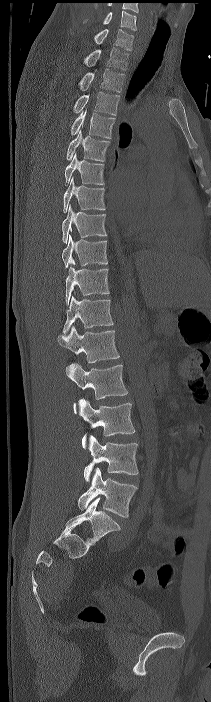
CT spine · sagittal view · Bone window (WL 400, WW 1800) · image 211 mm wide · 211x702 px
Each box given as x1,y1,x2,y2.
The highest labeled vertebra in this scan is C7; the lowest is L4.
L4: x1=78, y1=467, x2=137, y2=517
L3: x1=83, y1=435, x2=138, y2=481
L2: x1=78, y1=398, x2=135, y2=448
L1: x1=66, y1=363, x2=128, y2=413
T12: x1=58, y1=326, x2=119, y2=371
T11: x1=63, y1=295, x2=113, y2=334
T10: x1=65, y1=266, x2=109, y2=305
T9: x1=62, y1=234, x2=107, y2=268
T8: x1=62, y1=204, x2=106, y2=243
T7: x1=63, y1=176, x2=105, y2=212
T6: x1=65, y1=153, x2=104, y2=186
T5: x1=66, y1=130, x2=110, y2=161
T4: x1=71, y1=109, x2=115, y2=138
T3: x1=73, y1=91, x2=119, y2=115
T2: x1=78, y1=69, x2=124, y2=92
T1: x1=83, y1=47, x2=128, y2=70
C7: x1=94, y1=29, x2=133, y2=50